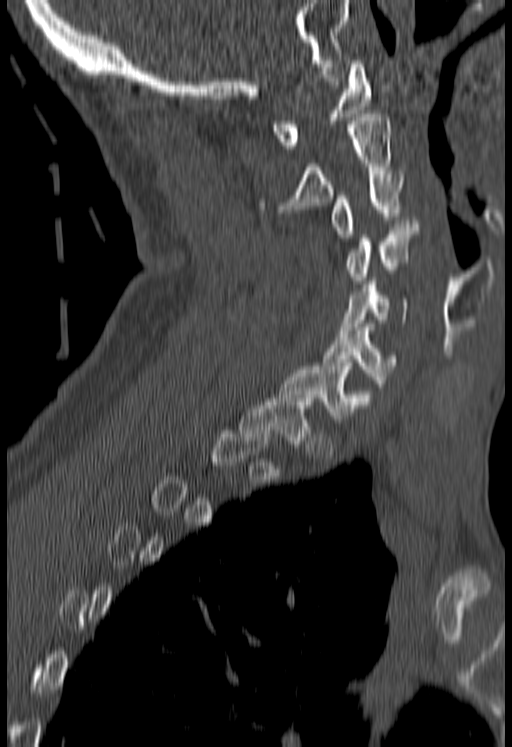

CT spine; sagittal reformat; 180 mm image width
Each vertebra maps to its box as [x1, y1, x2, y2], the pixel coordinates of its top-left and bottom-right corners.
A vertebra gets a box only on the slices from the first to the last where its cross-section is at least a third of its largest; on a slice outside that range it gets none.
{"vertebrae":{"C1":[272,60,370,148],"C2":[260,114,390,212],"C3":[331,174,404,241],"C4":[345,220,418,283],"C5":[339,281,407,333],"C6":[322,324,395,387],"C7":[278,366,373,422],"T1":[239,398,313,447]}}